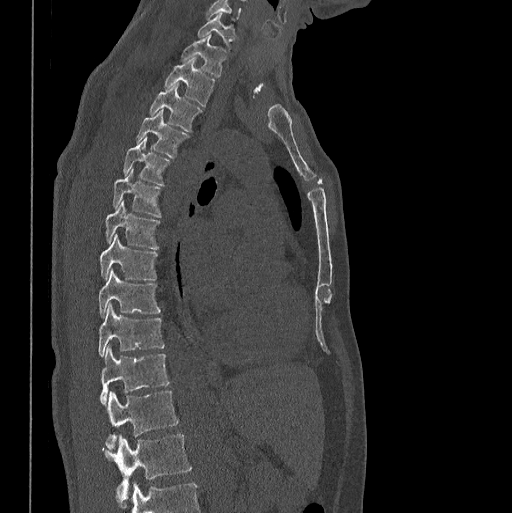

CT spine · sagittal view · the image is 398 mm wide
In the table, x1 and y1 are a box's top-left corner and x2 and y2 its bottom-right corner, in pixels.
| vertebra | x1 | y1 | x2 | y2 |
|---|---|---|---|---|
| L1 | 103 | 434 | 192 | 505 |
| T12 | 104 | 390 | 178 | 449 |
| T11 | 100 | 346 | 169 | 404 |
| T10 | 99 | 303 | 164 | 357 |
| T9 | 99 | 270 | 160 | 316 |
| T8 | 99 | 234 | 156 | 280 |
| T7 | 105 | 200 | 158 | 248 |
| T6 | 113 | 169 | 161 | 216 |
| T5 | 123 | 138 | 169 | 185 |
| T4 | 136 | 110 | 188 | 156 |
| T3 | 149 | 83 | 201 | 131 |
| T2 | 165 | 58 | 214 | 106 |
| T1 | 181 | 35 | 225 | 77 |
| C7 | 198 | 12 | 235 | 42 |